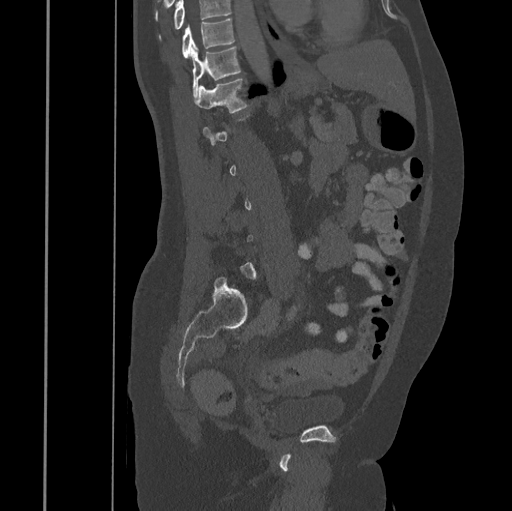 CT; sagittal view; bone window; 512x511 px. Boxes: x1 y1 x2 y2 (pixel coords, space-separated).
A vertebra gets a box only on the slices from the first to the last where its cross-section is at least a third of its largest; on a slice outside that range it gets none.
A vertebra cut off by the top edge of the scan is not labeled and has no box.
Vertebra bounding boxes:
- T12: 194 78 247 113
- T11: 190 46 241 97
- T10: 181 19 235 57